Spine CT. sagittal reformat. W/L 1800/400 HU. 512x681 px
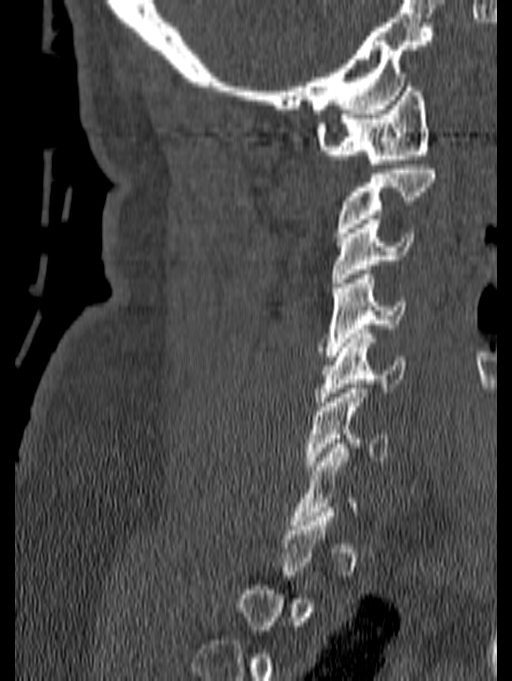
Each row gives a vertebra's box as x1, y1, x2, y2 in pixels: top-left corner, then bottom-right corner.
A vertebra is boxed only from the first to the last slice where its cross-section is at least a third of its largest; slices outside that range leave it without a box.
| vertebra | x1 | y1 | x2 | y2 |
|---|---|---|---|---|
| C6 | 305 | 384 | 388 | 470 |
| C5 | 315 | 329 | 406 | 406 |
| C4 | 318 | 270 | 406 | 356 |
| C3 | 331 | 219 | 415 | 282 |
| C1 | 316 | 82 | 429 | 168 |